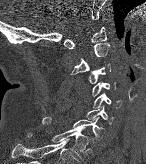

Spine computed tomography; sagittal view; 146x164 px
Each row gives a vertebra's box as x1, y1, x2, y2 in pixels: top-left corner, then bottom-right corner.
| vertebra | x1 | y1 | x2 | y2 |
|---|---|---|---|---|
| C1 | 64 | 27 | 106 | 48 |
| C2 | 72 | 43 | 110 | 74 |
| C3 | 87 | 63 | 111 | 83 |
| C4 | 91 | 82 | 115 | 95 |
| C5 | 93 | 93 | 121 | 108 |
| C6 | 86 | 106 | 113 | 124 |
| C7 | 42 | 117 | 104 | 139 |
| T1 | 26 | 127 | 88 | 159 |